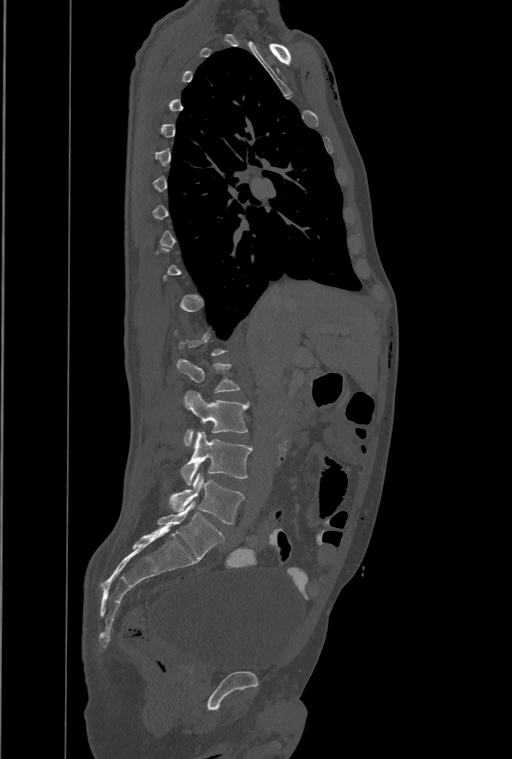
Spine CT; sagittal view; bone-window reconstruction; 512x759 px
Not every vertebra on this slice has a box: a vertebra is boxed only from the first to the last slice where its cross-section is at least a third of its largest, and this slice is outside that range for at least one of them.
The highest labeled vertebra in this scan is T1; the lowest is L4.
<vertebrae><v name="L4" x1="170" y1="472" x2="244" y2="524"/><v name="L3" x1="181" y1="431" x2="252" y2="485"/><v name="L2" x1="183" y1="391" x2="248" y2="445"/></vertebrae>